CT spine — sagittal view — W/L 1800/400 HU — image width 342 mm — scan covers 11 annotated vertebrae
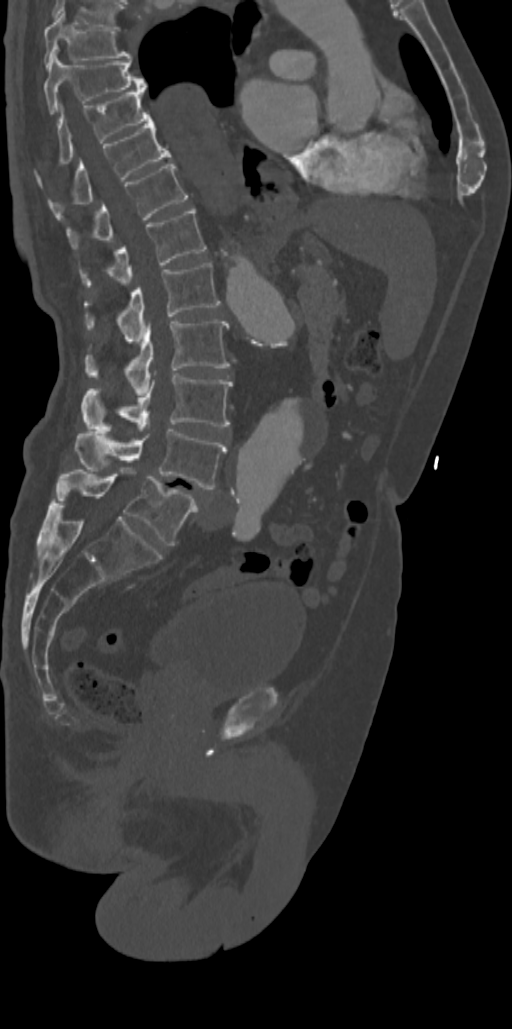

Box values are [left, top, right, bottom] in pixels.
{"vertebrae":{"T7":[43,11,131,66],"T8":[43,54,146,114],"T9":[57,90,152,165],"T10":[48,119,171,217],"T11":[66,162,187,251],"T12":[79,209,205,287],"L1":[85,263,220,343],"L2":[84,319,229,394],"L3":[84,373,232,430],"L4":[75,429,226,489],"L5":[55,467,198,545]}}